CT spine · sagittal view · W/L 1800/400 HU
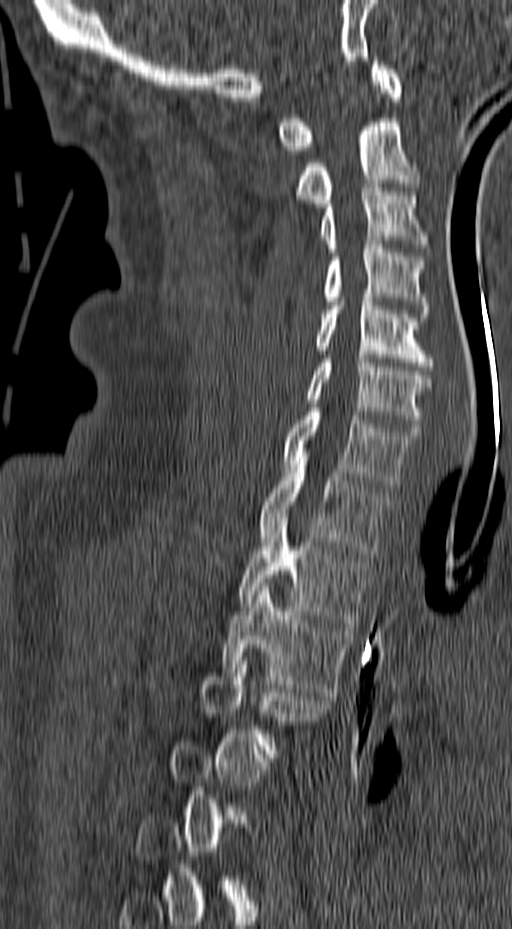 Columns x1, y1, x2, y2 give each box's top-left and bottom-right pixels.
A vertebra gets a box only on the slices from the first to the last where its cross-section is at least a third of its largest; on a slice outside that range it gets none.
| vertebra | x1 | y1 | x2 | y2 |
|---|---|---|---|---|
| C1 | 278 | 57 | 401 | 154 |
| C2 | 295 | 118 | 421 | 207 |
| C3 | 317 | 183 | 431 | 252 |
| C4 | 321 | 241 | 430 | 317 |
| C5 | 314 | 294 | 433 | 370 |
| C6 | 304 | 359 | 432 | 431 |
| C7 | 282 | 408 | 418 | 488 |
| T1 | 259 | 461 | 388 | 557 |
| T2 | 236 | 514 | 372 | 627 |
| T3 | 223 | 583 | 352 | 696 |